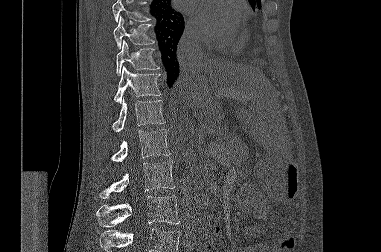 CT spine; sagittal view; Bone window (WL 400, WW 1800); 381x252 px
Bounding boxes as [x1, y1, x2, y2] in pixel coordinates.
Where the top or bottom of the scan cuts through a vertebra, that vertebra gets no label or box.
T9: [113, 16, 154, 48]
T10: [116, 40, 159, 75]
T11: [114, 65, 161, 103]
T12: [112, 98, 165, 132]
L1: [111, 129, 170, 161]
L2: [99, 161, 174, 198]
L3: [96, 196, 179, 227]